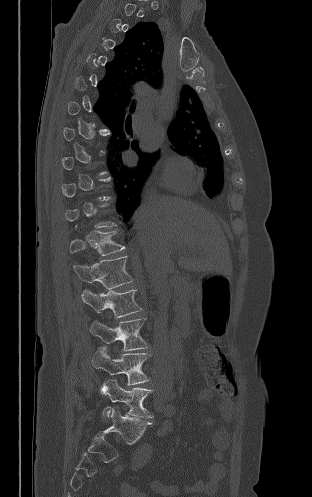

CT, spine; sagittal view; W/L 1800/400 HU; 312x497 px
Boxes are (x1, y1, x2, y2) in pixels.
A vertebra gets a box only on the slices from the first to the last where its cross-section is at least a third of its largest; on a slice outside that range it gets none.
Vertebra bounding boxes:
- T12: (70, 231, 125, 255)
- L1: (73, 256, 133, 289)
- L2: (81, 289, 141, 317)
- L3: (89, 318, 148, 351)
- L4: (92, 347, 150, 385)
- L5: (100, 379, 153, 422)